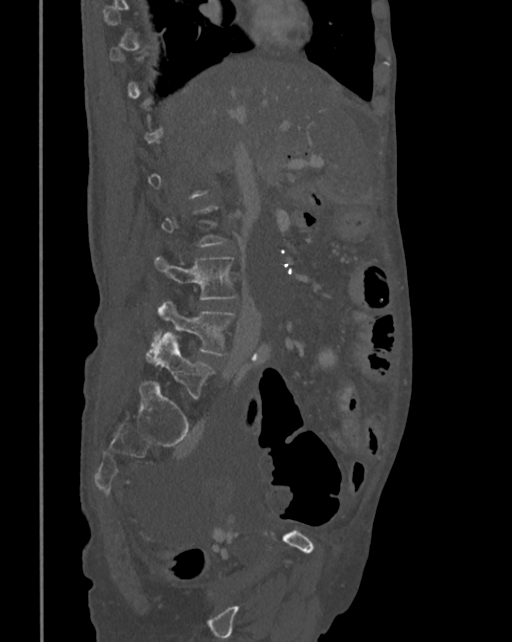

Spine CT. sagittal view. 512x642 px
Boxes below are [x1, y1, x2, y2] in pixels.
A vertebra gets a box only on the slices from the first to the last where its cross-section is at least a third of its largest; on a slice outside that range it gets none.
{"vertebrae":{"L3":[155,257,237,299],"L4":[144,300,236,362],"L5":[152,333,213,397]}}